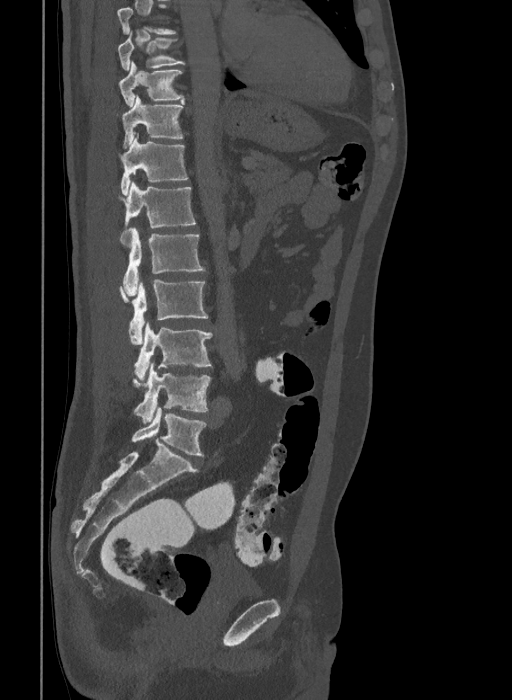 CT · sagittal view · Bone window (WL 400, WW 1800)
Each box given as x1,y1,x2,y2. In this scan, the topmost labeled vertebra is T9 and the lowest is L6. The labels name a sixth lumbar vertebra for this spine: L6, after L5. The labeled vertebrae in this slice are: T9 at x1=118, y1=32, x2=185, y2=70, T10 at x1=119, y1=61, x2=184, y2=107, T11 at x1=121, y1=95, x2=183, y2=148, T12 at x1=120, y1=134, x2=188, y2=195, L1 at x1=119, y1=181, x2=195, y2=242, L2 at x1=123, y1=228, x2=205, y2=295, L3 at x1=119, y1=279, x2=208, y2=344, L4 at x1=134, y1=322, x2=212, y2=381, L5 at x1=132, y1=363, x2=210, y2=423, L6 at x1=131, y1=407, x2=207, y2=456.